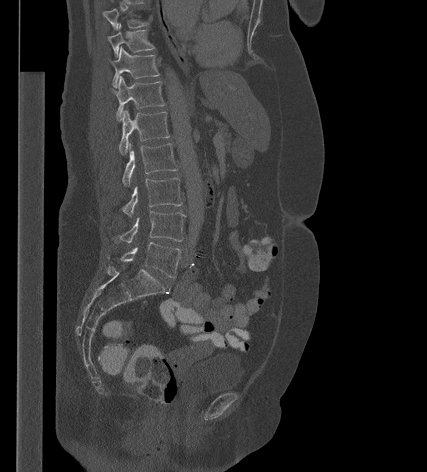 CT spine · sagittal reformat

Each box given as x1,y1,x2,y2.
Vertebra bounding boxes:
- T9: x1=103, y1=8, x2=148, y2=30
- T10: x1=108, y1=24, x2=154, y2=57
- T11: x1=111, y1=47, x2=159, y2=86
- T12: x1=113, y1=76, x2=164, y2=120
- L1: x1=119, y1=110, x2=169, y2=154
- L2: x1=122, y1=143, x2=177, y2=185
- L3: x1=122, y1=178, x2=182, y2=216
- L4: x1=111, y1=211, x2=185, y2=243
- L5: x1=106, y1=242, x2=180, y2=277